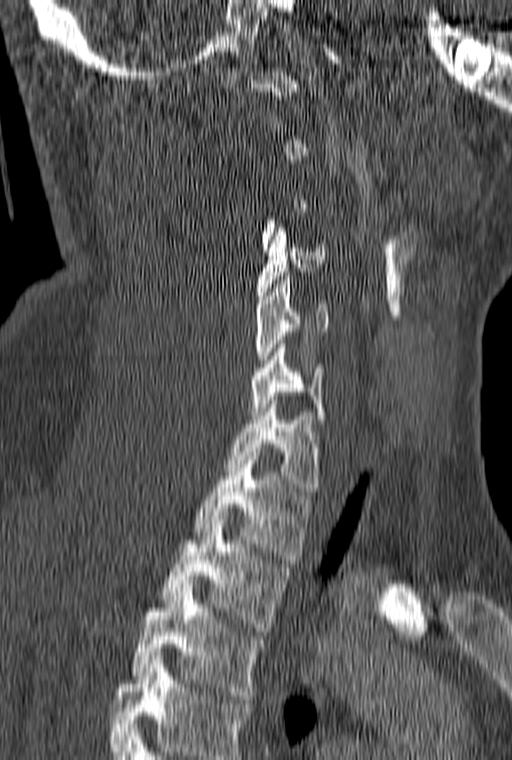

Spine CT — sagittal reformat
Box values are [left, top, right, bottom] in pixels.
A vertebra is boxed only from the first to the last slice where its cross-section is at least a third of its largest; slices outside that range leave it without a box.
Labels in this scan begin with C1 at the top and end with T3 at the bottom.
{"vertebrae":{"C4":[257,224,326,303],"C5":[254,272,328,367],"C6":[250,340,326,423],"C7":[225,400,317,495],"T1":[193,452,311,559],"T2":[161,520,288,631],"T3":[132,588,263,703]}}